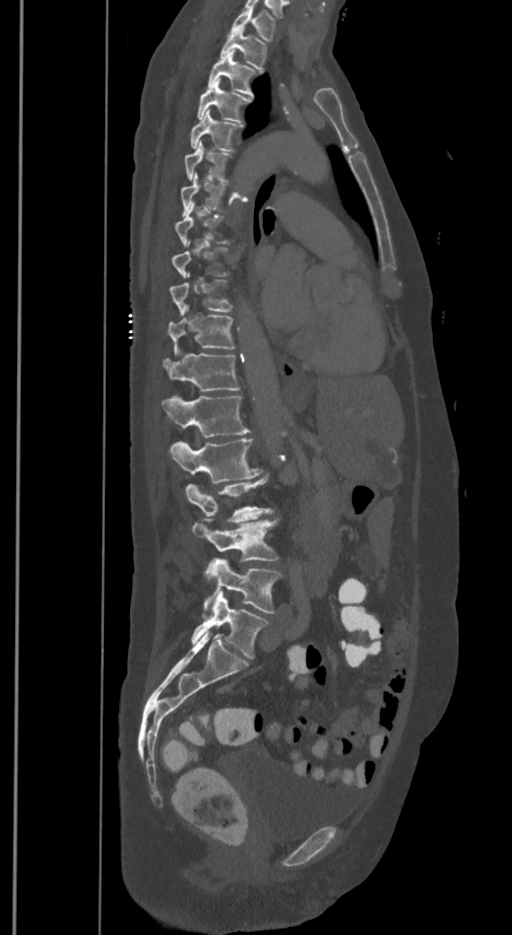
Spine CT; sagittal view; 512x935 px

Box edges are left/top/right/bottom in pixels. A vertebra gets a box only on the slices from the first to the last where its cross-section is at least a third of its largest; on a slice outside that range it gets none. The labels name a sixth lumbar vertebra for this spine: L6, after L5. 16 vertebrae labeled — T1 at left=231, top=7, right=275, bottom=41; T2 at left=221, top=26, right=266, bottom=71; T3 at left=207, top=50, right=256, bottom=95; T4 at left=197, top=79, right=250, bottom=121; T5 at left=190, top=109, right=242, bottom=150; T6 at left=184, top=142, right=230, bottom=181; T7 at left=181, top=172, right=224, bottom=216; T10 at left=169, top=274, right=231, bottom=315; T11 at left=168, top=305, right=234, bottom=353; T12 at left=164, top=353, right=239, bottom=391; L1 at left=162, top=396, right=249, bottom=436; L2 at left=169, top=438, right=261, bottom=483; L3 at left=186, top=475, right=272, bottom=522; L4 at left=193, top=520, right=278, bottom=574; L5 at left=205, top=560, right=281, bottom=614; L6 at left=191, top=592, right=268, bottom=659.